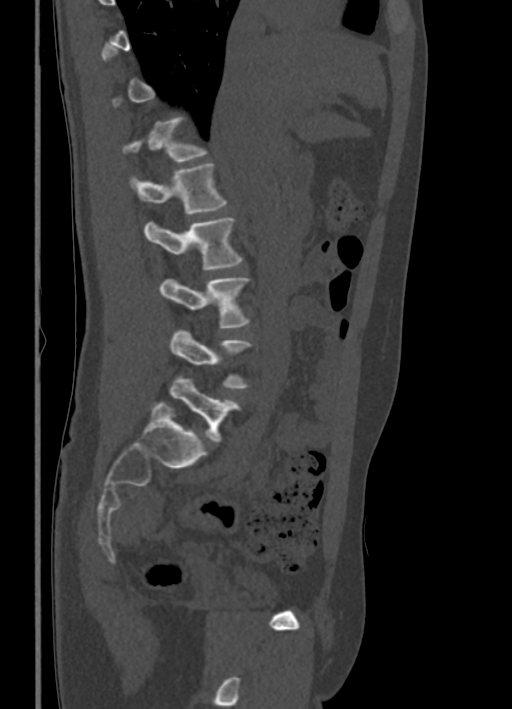
CT, spine — sagittal view — W/L 1800/400 HU
Columns x1, y1, x2, y2 give each box's top-left and bottom-right pixels.
A vertebra is boxed only from the first to the last slice where its cross-section is at least a third of its largest; slices outside that range leave it without a box.
| vertebra | x1 | y1 | x2 | y2 |
|---|---|---|---|---|
| T12 | 123 | 117 | 206 | 162 |
| L1 | 129 | 163 | 227 | 214 |
| L2 | 145 | 218 | 243 | 270 |
| L3 | 160 | 277 | 249 | 328 |
| L4 | 170 | 329 | 252 | 388 |
| L5 | 151 | 374 | 240 | 440 |